Computed tomography of the spine — sagittal plane, index 254 — W/L 1800/400 HU — 384 mm image width
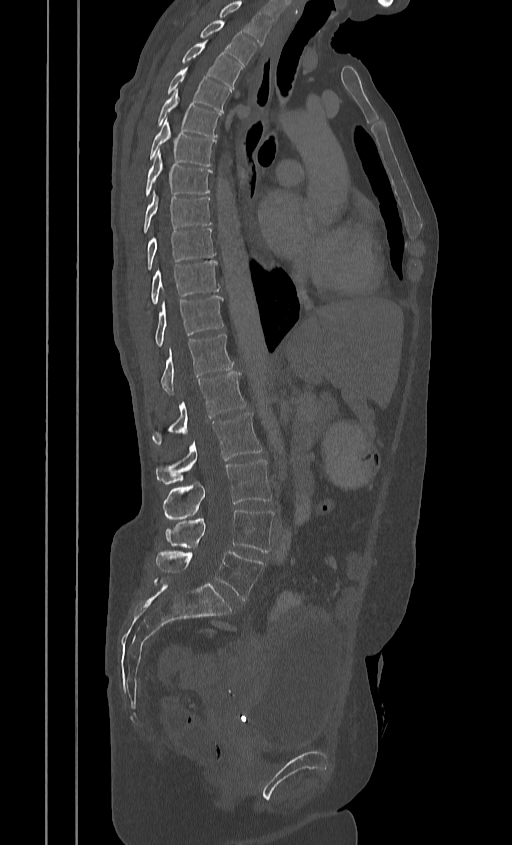 Each box given as x1,y1,x2,y2.
In this scan, the topmost labeled vertebra is T2 and the lowest is L5.
L5: x1=156, y1=549, x2=263, y2=600
L4: x1=165, y1=509, x2=273, y2=552
L3: x1=162, y1=460, x2=271, y2=519
L2: x1=156, y1=412, x2=261, y2=484
L1: x1=152, y1=372, x2=245, y2=443
T12: x1=161, y1=335, x2=233, y2=395
T11: x1=154, y1=296, x2=223, y2=347
T10: x1=150, y1=260, x2=220, y2=304
T9: x1=146, y1=228, x2=215, y2=270
T8: x1=142, y1=192, x2=211, y2=232
T7: x1=144, y1=149, x2=211, y2=195
T6: x1=149, y1=119, x2=215, y2=166
T5: x1=157, y1=89, x2=220, y2=136
T4: x1=168, y1=67, x2=229, y2=112
T3: x1=181, y1=41, x2=241, y2=88
T2: x1=200, y1=20, x2=255, y2=66